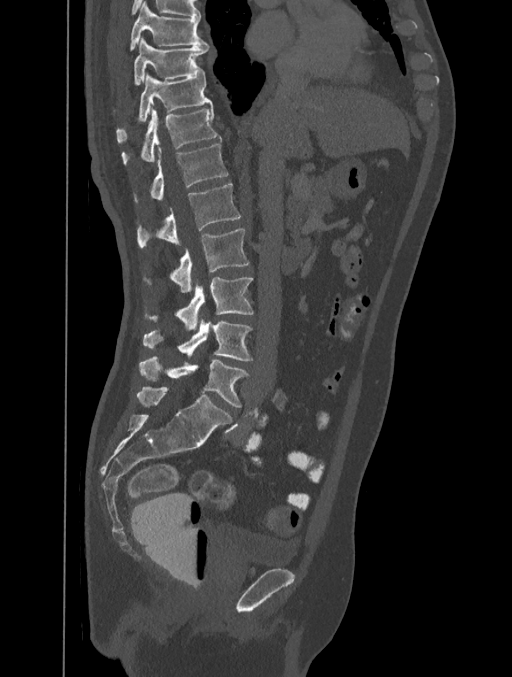 CT, spine · sagittal view · 512x677 px
Box edges are left/top/right/bottom in pixels.
T8: left=130, top=1, right=209, bottom=51
T9: left=134, top=37, right=209, bottom=85
T10: left=116, top=75, right=212, bottom=143
T11: left=121, top=109, right=220, bottom=166
T12: left=134, top=144, right=227, bottom=202
L1: left=136, top=183, right=240, bottom=247
L2: left=148, top=229, right=249, bottom=293
L3: left=145, top=277, right=253, bottom=330
L4: left=143, top=319, right=253, bottom=361
L5: left=139, top=356, right=249, bottom=407